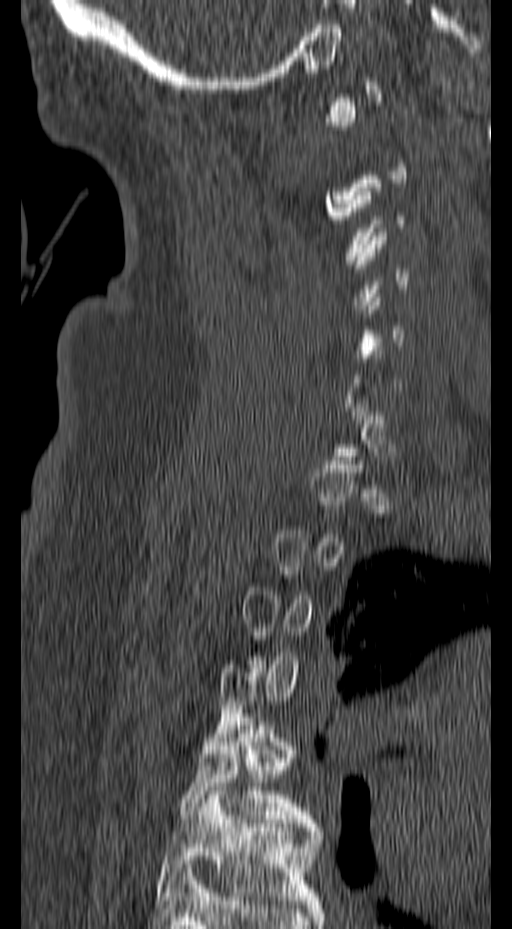
Computed tomography of the spine — sagittal reformat — W/L 1800/400 HU
Box edges are left/top/right/bottom in pixels. Each vertebra is boxed only on the slices from the first to the last where its cross-section reaches a third of its largest, so a slice outside that range leaves it unboxed. The labeled vertebrae in this slice are: T5 at left=177, top=717, right=317, bottom=827, T6 at left=156, top=787, right=323, bottom=904.